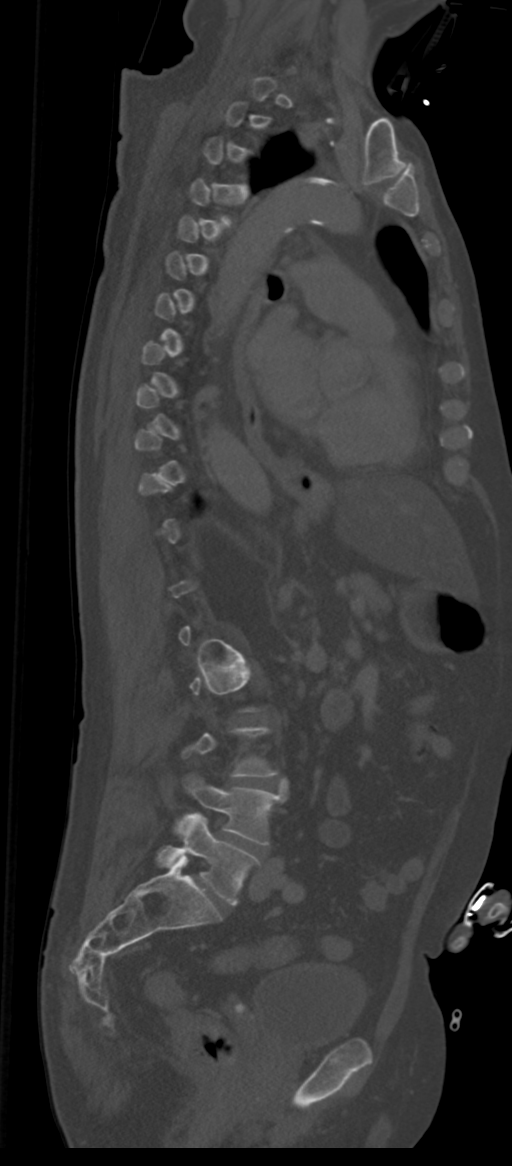
Computed tomography of the spine. sagittal view. Bone window (WL 400, WW 1800). Boxes are (x1, y1, x2, y2) in pixels.
Not every vertebra on this slice has a box: a vertebra is boxed only from the first to the last slice where its cross-section is at least a third of its largest, and this slice is outside that range for at least one of them.
The labels name a sixth lumbar vertebra for this spine: L6, after L5.
L5: (175, 776, 284, 844)
L6: (158, 814, 258, 905)